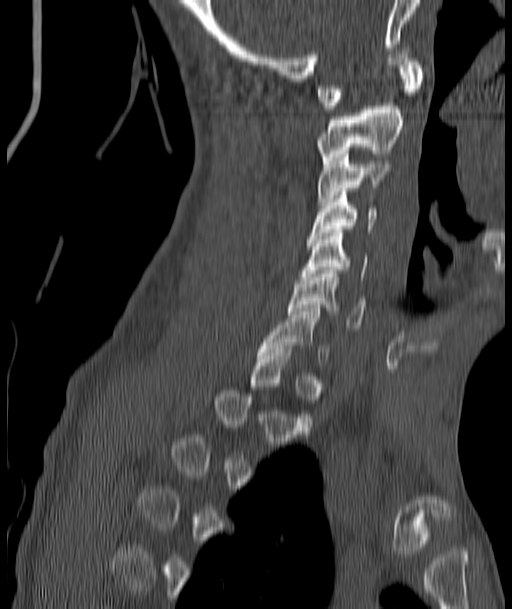 Computed tomography of the spine; sagittal reformat; 512x609 px
In the table, x1 and y1 are a box's top-left corner and x2 and y2 its bottom-right corner, in pixels.
A vertebra gets a box only on the slices from the first to the last where its cross-section is at least a third of its largest; on a slice outside that range it gets none.
| vertebra | x1 | y1 | x2 | y2 |
|---|---|---|---|---|
| C1 | 318 | 55 | 422 | 109 |
| C2 | 318 | 106 | 402 | 163 |
| C3 | 318 | 151 | 391 | 204 |
| C4 | 307 | 192 | 375 | 242 |
| C5 | 302 | 229 | 367 | 280 |
| C6 | 288 | 270 | 364 | 328 |
| C7 | 258 | 308 | 328 | 365 |